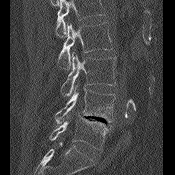

CT; sagittal view
Coordinates as <box>x1,y1,x2,y2</box>.
A vertebra cut off by the top edge of the scan is not labeled and has no box.
Vertebra bounding boxes:
- L2: <box>58,22,112,69</box>
- L3: <box>60,52,116,96</box>
- L4: <box>55,85,115,124</box>
- L5: <box>49,114,108,149</box>